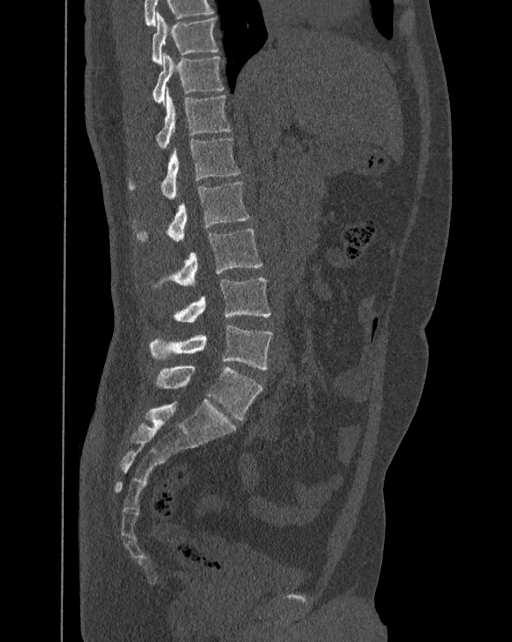 Computed tomography of the spine · sagittal reformat · 392 mm wide
Each vertebra maps to its box as [x1, y1, x2, y2], the pixel coordinates of its top-left and bottom-right corners.
The labels name a sixth lumbar vertebra for this spine: L6, after L5.
{"vertebrae":{"T10":[151,12,218,64],"T11":[153,53,223,105],"T12":[155,88,231,148],"L1":[129,138,240,199],"L2":[137,182,250,241],"L3":[171,229,263,286],"L4":[174,277,271,322],"L5":[149,324,272,369],"L6":[155,364,263,420]}}